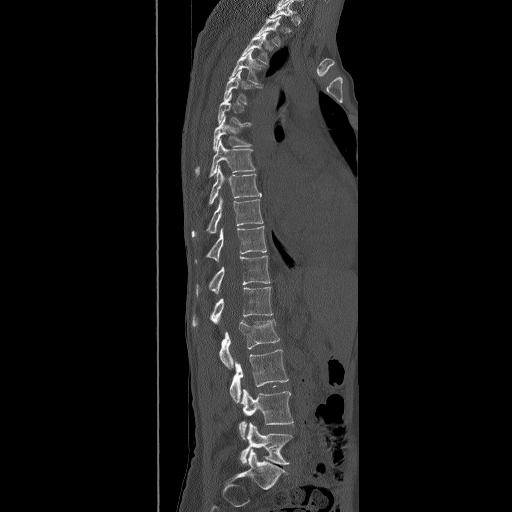 Spine CT; sagittal view
Boxes are given in columns x1, y1, x2, y2, the pixel coordinates of their top-left and bottom-right corners.
In this scan, the topmost labeled vertebra is T2 and the lowest is L5.
| vertebra | x1 | y1 | x2 | y2 |
|---|---|---|---|---|
| T2 | 254 | 16 | 281 | 48 |
| T3 | 242 | 32 | 268 | 64 |
| T4 | 229 | 50 | 264 | 85 |
| T5 | 224 | 70 | 262 | 105 |
| T6 | 218 | 91 | 251 | 124 |
| T7 | 195 | 116 | 251 | 177 |
| T8 | 209 | 138 | 255 | 177 |
| T9 | 208 | 165 | 262 | 206 |
| T10 | 192 | 196 | 264 | 239 |
| T11 | 194 | 225 | 267 | 263 |
| T12 | 195 | 255 | 270 | 297 |
| L1 | 192 | 287 | 273 | 326 |
| L2 | 219 | 319 | 279 | 369 |
| L3 | 229 | 349 | 289 | 403 |
| L4 | 239 | 388 | 294 | 440 |
| L5 | 240 | 422 | 293 | 465 |